CT spine · sagittal plane, index 290 · 395 mm wide · bone-window reconstruction · 658x798 px
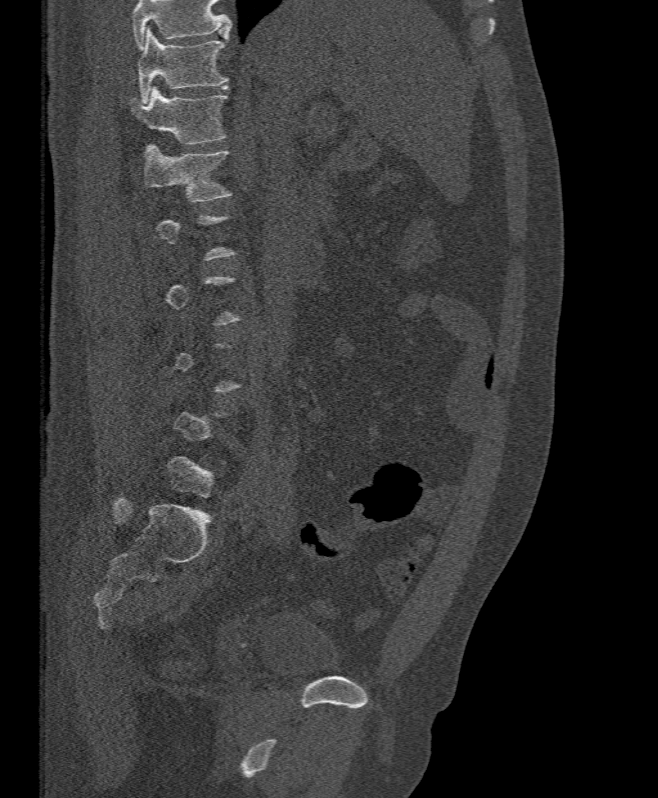
Each vertebra is boxed only on the slices from the first to the last where its cross-section reaches a third of its largest, so a slice outside that range leaves it unboxed.
A vertebra cut off by the top edge of the scan is not labeled and has no box.
<vertebrae><v name="T11" x1="136" y1="28" x2="228" y2="102"/><v name="T12" x1="130" y1="85" x2="227" y2="144"/><v name="L1" x1="145" y1="147" x2="230" y2="202"/></vertebrae>